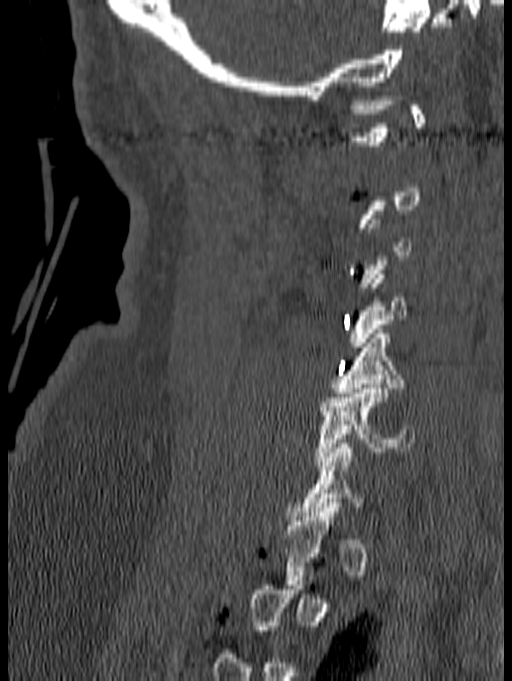

CT, spine · sagittal reformat · Bone window (WL 400, WW 1800)
Not every vertebra on this slice has a box: a vertebra is boxed only from the first to the last slice where its cross-section is at least a third of its largest, and this slice is outside that range for at least one of them.
<vertebrae><v name="C5" x1="329" y1="329" x2="406" y2="401"/><v name="C6" x1="315" y1="384" x2="415" y2="465"/></vertebrae>